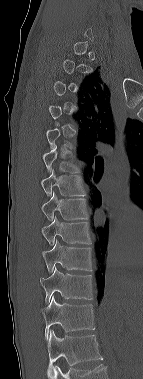
CT spine; sagittal reformat; image width 143 mm; W/L 1800/400 HU
Box edges are left/top/right/bottom in pixels.
A vertebra gets a box only on the slices from the first to the last where its cross-section is at least a third of its largest; on a slice outside that range it gets none.
The highest labeled vertebra in this scan is C6; the lowest is T12.
T6: left=43, top=145, right=80, bottom=172
T7: left=41, top=169, right=86, bottom=196
T8: left=42, top=191, right=88, bottom=221
T9: left=42, top=217, right=91, bottom=246
T10: left=42, top=240, right=92, bottom=273
T11: left=40, top=266, right=92, bottom=304
T12: left=39, top=296, right=95, bottom=340